CT; sagittal plane, index 41; W/L 1800/400 HU; 6 vertebrae labeled in this scan; 204 mm across the image
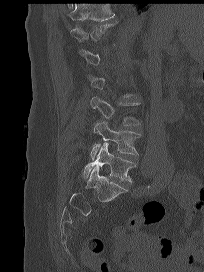

Boxes: x1 y1 x2 y2 (pixel coords, space-separated).
Each vertebra is boxed only on the slices from the first to the last where its cross-section reaches a third of its largest, so a slice outside that range leaves it unboxed.
L5: 83 142 136 182
L4: 91 120 141 159
L3: 90 96 141 125